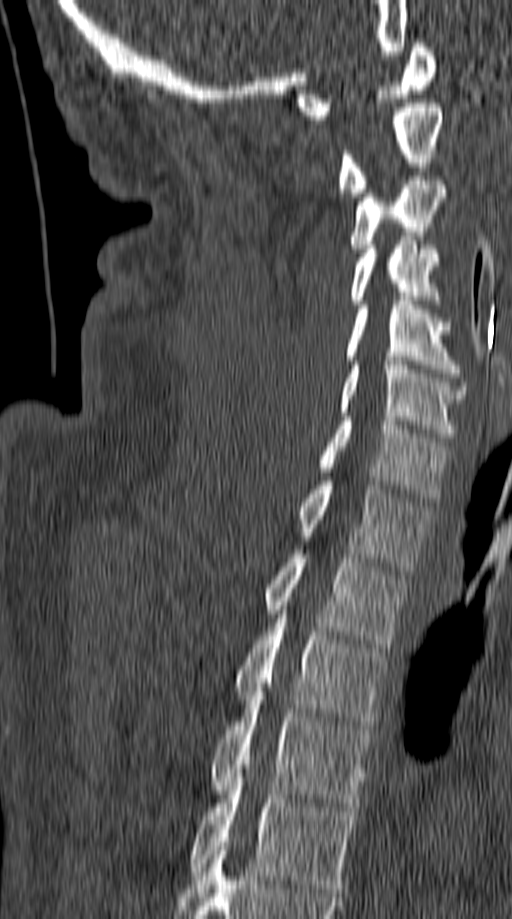
Spine CT · image width 149 mm · sagittal view · Bone window (WL 400, WW 1800)

Boxes below are [x1, y1, x2, y2] in pixels.
{"vertebrae":{"T5":[187,773,358,892],"T4":[211,683,375,807],"T3":[235,597,385,729],"T2":[262,550,406,648],"T1":[297,481,430,570],"C7":[319,417,450,502],"C6":[338,361,465,437],"C5":[345,301,460,377],"C4":[350,241,440,304],"C3":[350,176,445,252],"C2":[338,103,443,197],"C1":[296,43,437,119]}}